Spine CT · sagittal plane, index 125 · a region is blanked to uniform black, ending in a straight edge
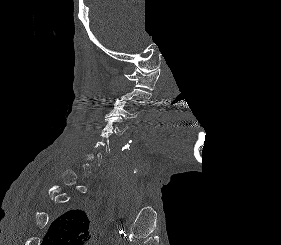

Boxes: x1 y1 x2 y2 (pixel coords, space-separated). A vertebra is boxed only from the first to the last slice where its cross-section is at least a third of its largest; slices outside that range leave it without a box. Vertebrae labeled: C1 at 124 67 160 92, C3 at 105 101 136 118, C4 at 101 116 128 134.